CT, spine. sagittal plane, index 296. 512x973 px. 350 mm image width
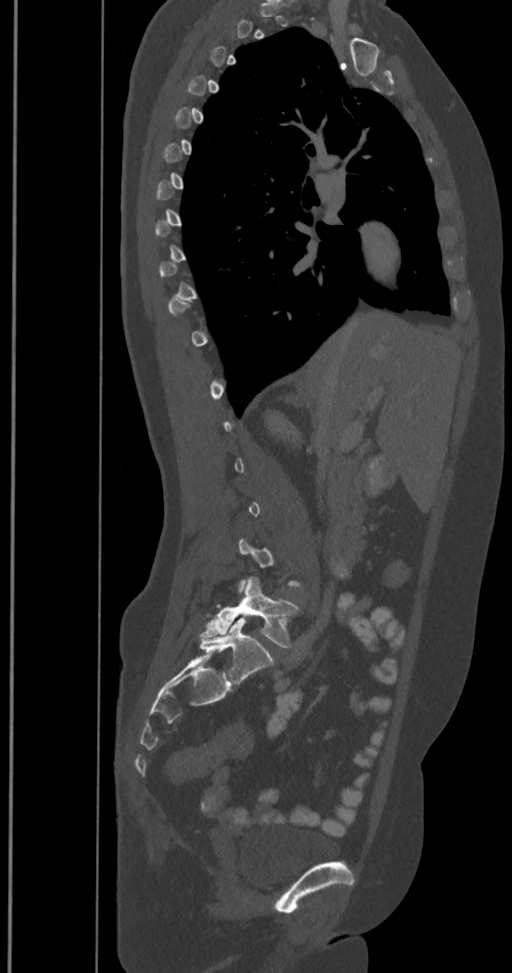
Each vertebra maps to its box as [x1, y1, x2, y2], the pixel coordinates of its top-left and bottom-right corners.
A vertebra gets a box only on the slices from the first to the last where its cross-section is at least a third of its largest; on a slice outside that range it gets none.
These labels give the spine a sixth lumbar vertebra, L6, below L5.
{"vertebrae":{"L6":[200,619,274,684],"L5":[200,577,299,647]}}